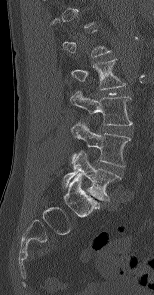
Spine CT. sagittal view
Box values are [left, top, right, bottom] in pixels.
A vertebra gets a box only on the slices from the first to the last where its cross-section is at least a third of its largest; on a slice outside that range it gets none.
{"vertebrae":{"L5":[62,151,121,200],"L4":[71,122,130,166],"L3":[70,90,132,125],"L2":[70,59,125,89]}}